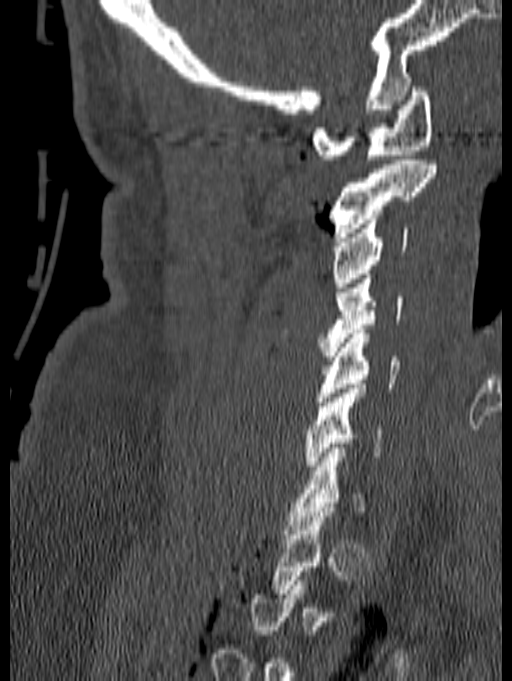

CT — sagittal view — 512x681 px
Each vertebra is boxed only on the slices from the first to the last where its cross-section reaches a third of its largest, so a slice outside that range leaves it unboxed.
<vertebrae><v name="C6" x1="305" y1="384" x2="383" y2="470"/><v name="C5" x1="317" y1="329" x2="399" y2="401"/><v name="C4" x1="280" y1="274" x2="403" y2="356"/><v name="C3" x1="333" y1="219" x2="409" y2="287"/><v name="C2" x1="330" y1="160" x2="436" y2="237"/><v name="C1" x1="312" y1="87" x2="433" y2="159"/></vertebrae>